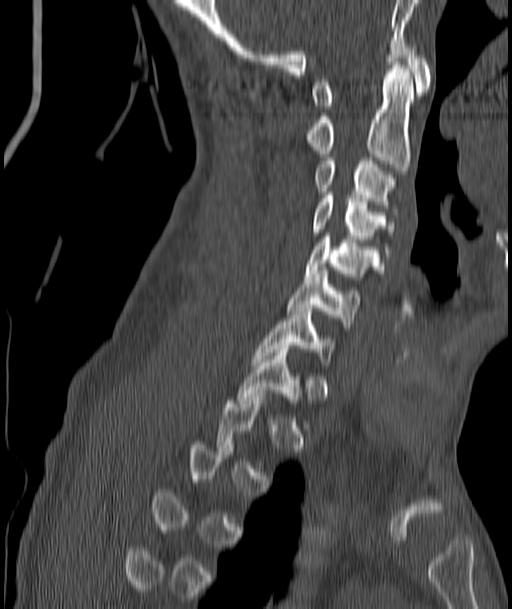
CT · sagittal view · bone-window reconstruction
Boxes: x1 y1 x2 y2 (pixel coords, space-separated).
Each vertebra is boxed only on the slices from the first to the last where its cross-section reaches a third of its largest, so a slice outside that range leaves it unboxed.
Vertebra bounding boxes:
- C1: 313 44 430 109
- C2: 305 65 413 174
- C3: 316 161 394 215
- C4: 313 192 394 252
- C5: 305 233 378 280
- C6: 286 270 361 328
- C7: 253 308 334 365